Spine CT — Sagittal slice 257/512 — 714x983 px
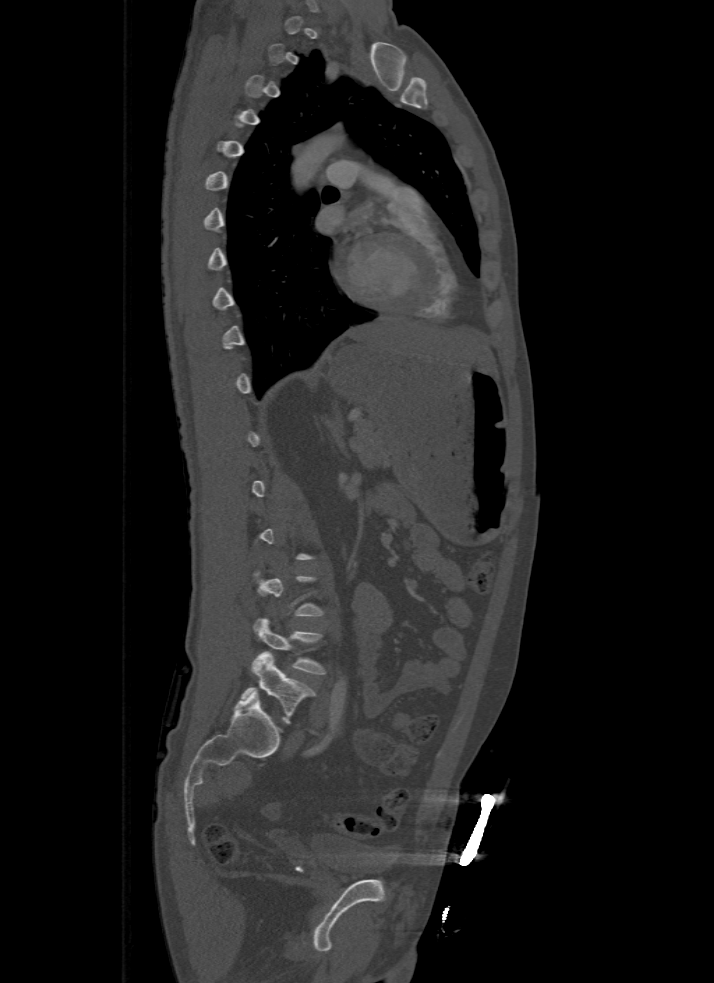

Each vertebra maps to its box as [x1, y1, x2, y2], the pixel coordinates of its top-left and bottom-right corners.
A vertebra gets a box only on the slices from the first to the last where its cross-section is at least a third of its largest; on a slice outside that range it gets none.
{"vertebrae":{"L5":[240,652,314,724],"L4":[253,618,324,674]}}